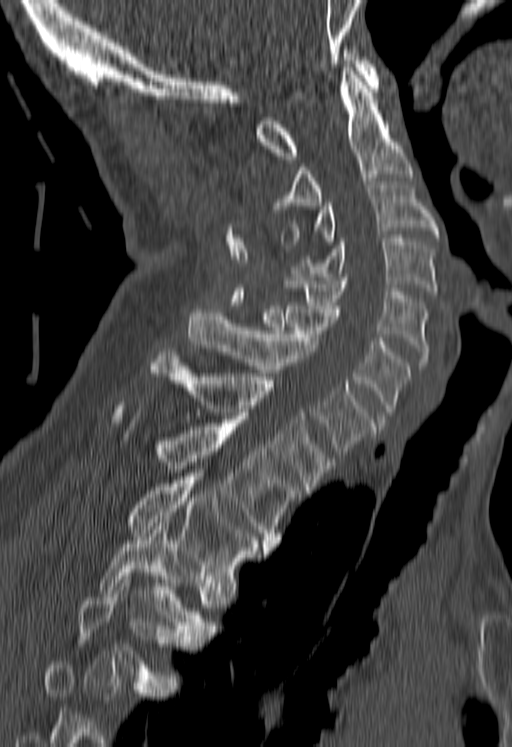

CT, spine. sagittal view. bone-window reconstruction

Boxes are given in columns x1, y1, x2, y2, the pixel coordinates of their top-left and bottom-right corners.
A vertebra gets a box only on the slices from the first to the last where its cross-section is at least a third of its largest; on a slice outside that range it gets none.
| vertebra | x1 | y1 | x2 | y2 |
|---|---|---|---|---|
| C1 | 255 | 50 | 378 | 159 |
| C2 | 274 | 68 | 412 | 209 |
| C3 | 280 | 185 | 438 | 248 |
| C4 | 291 | 238 | 438 | 298 |
| C5 | 285 | 277 | 429 | 369 |
| C6 | 260 | 306 | 410 | 419 |
| C7 | 188 | 309 | 375 | 454 |
| T1 | 147 | 348 | 333 | 490 |
| T2 | 157 | 427 | 301 | 547 |
| T3 | 129 | 473 | 267 | 582 |
| T4 | 97 | 523 | 213 | 639 |